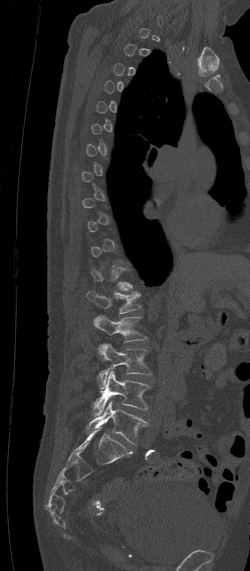
CT. 250 mm across the image. sagittal view. W/L 1800/400 HU
Boxes: x1:y1:x2:y2 in pixels.
A vertebra is boxed only from the first to the last slice where its cross-section is at least a third of its largest; slices outside that range leave it without a box.
Vertebra bounding boxes:
- L5: 86:401:148:443
- L4: 91:371:151:417
- L3: 96:344:151:389
- L2: 93:315:147:355
- L1: 86:290:141:313